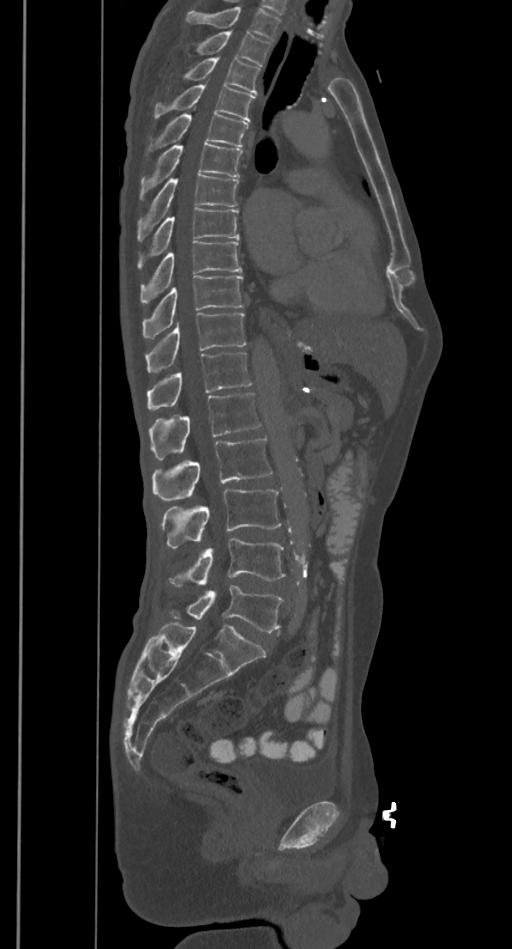 Spine computed tomography; sagittal view; bone window
Box values are [left, top, right, bottom] in pixels.
Where the top of the scan cuts through a vertebra, that vertebra gets no label or box.
{"vertebrae":{"L5":[170,585,283,632],"L4":[170,539,285,585],"L3":[161,490,281,548],"L2":[151,437,271,500],"L1":[149,394,261,460],"T12":[147,352,252,410],"T11":[145,312,246,372],"T10":[142,275,244,338],"T9":[141,241,242,303],"T8":[137,208,240,268],"T7":[137,174,238,241],"T6":[139,142,242,199],"T5":[147,113,248,151],"T4":[154,85,255,120],"T3":[183,56,259,94],"T2":[197,31,271,66]}}